CT spine. 182 mm wide. sagittal plane, index 100. Bone window (WL 400, WW 1800)
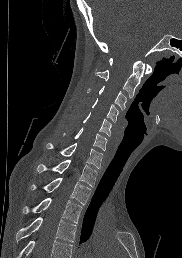
Boxes are given in columns x1, y1, x2, y2, the pixel coordinates of their top-left and bottom-right corners.
No box is given to a vertebra that the bottom edge of the scan cuts off.
| vertebra | x1 | y1 | x2 | y2 |
|---|---|---|---|---|
| T4 | 16 | 217 | 76 | 242 |
| T3 | 23 | 197 | 82 | 222 |
| T2 | 30 | 177 | 90 | 204 |
| T1 | 37 | 159 | 97 | 186 |
| C7 | 46 | 143 | 103 | 168 |
| C6 | 63 | 127 | 107 | 150 |
| C5 | 83 | 112 | 111 | 136 |
| C4 | 92 | 98 | 118 | 122 |
| C3 | 86 | 86 | 126 | 109 |
| C2 | 96 | 61 | 144 | 97 |
| C1 | 109 | 58 | 151 | 73 |